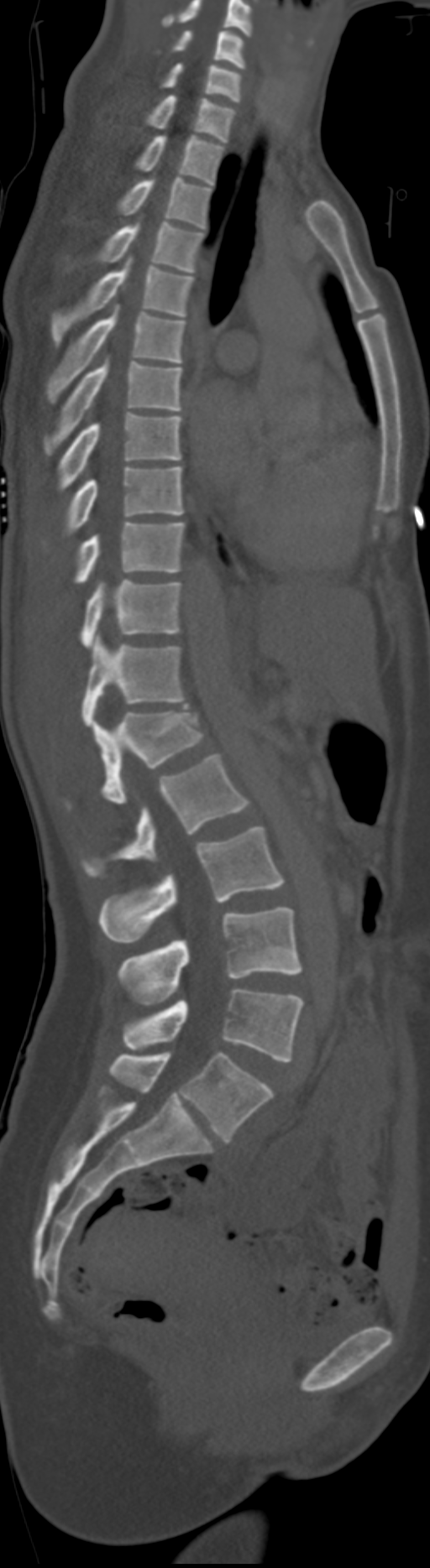
Spine computed tomography — 192 mm across the image — sagittal view

Each box given as x1,y1,x2,y2. Labels in this scan begin with C5 at the top and end with L6 at the bottom. In these labels the spine has an L6, a sixth lumbar vertebra below L5. These labels give this spine no T12: after T11 the next vertebra is L1. 20 vertebrae labeled — C5 at x1=172, y1=30, x2=245, y2=68; C6 at x1=160, y1=63, x2=240, y2=102; C7 at x1=146, y1=95, x2=235, y2=141; T1 at x1=135, y1=135, x2=224, y2=185; T2 at x1=118, y1=177, x2=211, y2=228; T3 at x1=95, y1=222, x2=204, y2=273; T4 at x1=50, y1=258, x2=195, y2=344; T5 at x1=45, y1=305, x2=186, y2=403; T6 at x1=44, y1=358, x2=181, y2=454; T7 at x1=57, y1=412, x2=181, y2=492; T8 at x1=64, y1=466, x2=184, y2=534; T9 at x1=75, y1=522, x2=186, y2=584; T10 at x1=81, y1=580, x2=181, y2=647; T11 at x1=81, y1=633, x2=186, y2=727; L1 at x1=66, y1=710, x2=204, y2=810; L2 at x1=81, y1=754, x2=250, y2=877; L3 at x1=99, y1=826, x2=285, y2=941; L4 at x1=118, y1=907, x2=302, y2=1004; L5 at x1=122, y1=989, x2=305, y2=1062; L6 at x1=108, y1=1052, x2=273, y2=1141.